Spine CT; sagittal reformat; 206 mm across the image; W/L 1800/400 HU; 24 vertebrae labeled in this scan; an area of the scan was removed and filled with constant pixels
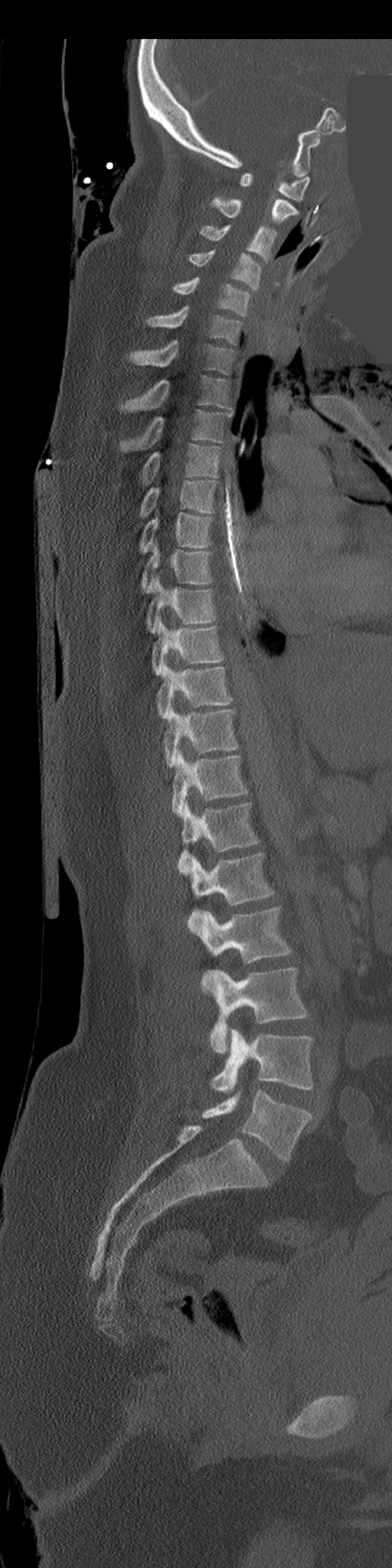
Each box given as x1,y1,x2,y2.
| vertebra | x1 | y1 | x2 | y2 |
|---|---|---|---|---|
| C1 | 240 | 172 | 310 | 201 |
| C2 | 208 | 197 | 299 | 224 |
| C3 | 200 | 224 | 276 | 263 |
| C4 | 190 | 250 | 261 | 289 |
| C5 | 171 | 276 | 249 | 315 |
| C6 | 147 | 307 | 241 | 345 |
| C7 | 130 | 341 | 234 | 374 |
| T1 | 120 | 375 | 232 | 411 |
| T2 | 120 | 410 | 232 | 451 |
| T3 | 142 | 444 | 220 | 483 |
| T4 | 139 | 480 | 217 | 515 |
| T5 | 139 | 512 | 211 | 554 |
| T6 | 142 | 547 | 213 | 593 |
| T7 | 145 | 577 | 215 | 632 |
| T8 | 151 | 620 | 224 | 675 |
| T9 | 157 | 665 | 232 | 719 |
| T10 | 162 | 708 | 237 | 766 |
| T11 | 171 | 752 | 247 | 815 |
| T12 | 178 | 804 | 259 | 874 |
| L1 | 189 | 853 | 274 | 929 |
| L2 | 198 | 906 | 291 | 988 |
| L3 | 208 | 967 | 308 | 1052 |
| L4 | 210 | 1030 | 314 | 1092 |
| L5 | 202 | 1089 | 312 | 1161 |